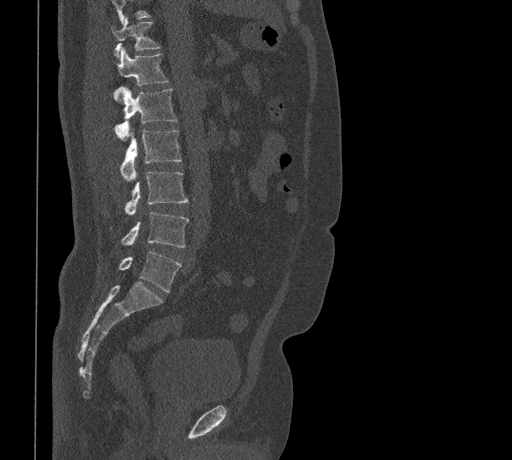
Spine CT. sagittal view
Each box is [x1, y1, x2, y2] in pixels: top-left corner, then bottom-right corner.
Where the top of the scan cuts through a vertebra, that vertebra gets no label or box.
{"vertebrae":{"T11":[111,17,161,58],"T12":[114,48,168,94],"L1":[114,87,176,139],"L2":[120,128,181,180],"L3":[125,171,188,215],"L4":[121,212,189,247],"L5":[118,251,181,292]}}